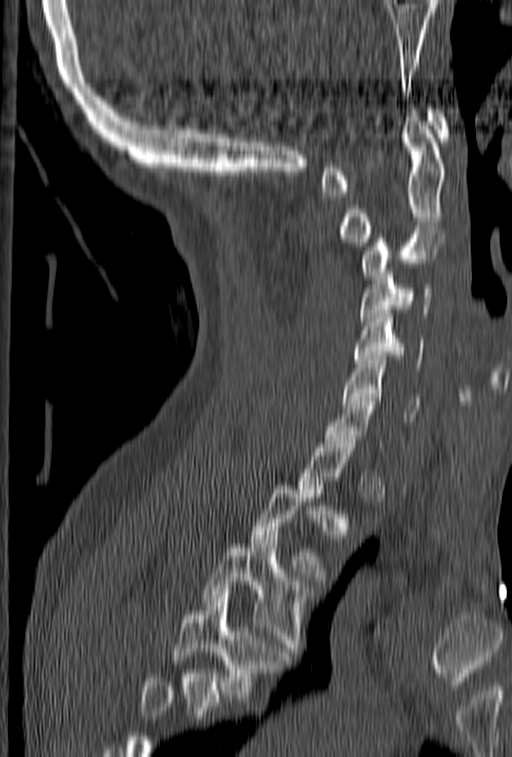 CT spine. sagittal view
Boxes: x1:y1:x2:y2 in pixels.
A vertebra gets a box only on the slices from the first to the last where its cross-section is at least a third of its largest; on a slice outside that range it gets none.
Where the bottom of the scan cuts through a vertebra, that vertebra gets no label or box.
C1: 320:105:450:196
C2: 339:109:445:246
C3: 359:230:446:279
C4: 359:264:432:325
C5: 353:310:425:371
C6: 343:356:420:421
C7: 322:389:384:451
T2: 248:485:325:580
T3: 202:540:313:656
T4: 172:590:291:698